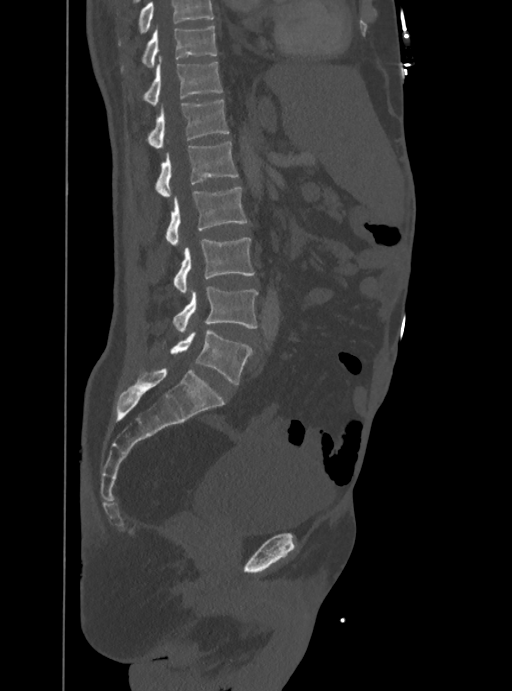
Spine CT · sagittal view · 388 mm across the image · 512x691 px
Each box given as x1,y1,x2,y2. A vertebra cut off by the top edge of the scan is not labeled and has no box. The labeled vertebrae in this slice are: T10 at x1=121, y1=25, x2=217, y2=70, T11 at x1=144, y1=57, x2=222, y2=105, T12 at x1=148, y1=99, x2=228, y2=147, L1 at x1=156, y1=141, x2=238, y2=197, L2 at x1=166, y1=188, x2=247, y2=246, L3 at x1=173, y1=238, x2=254, y2=294, L4 at x1=173, y1=286, x2=257, y2=332, L5 at x1=170, y1=330, x2=251, y2=384.